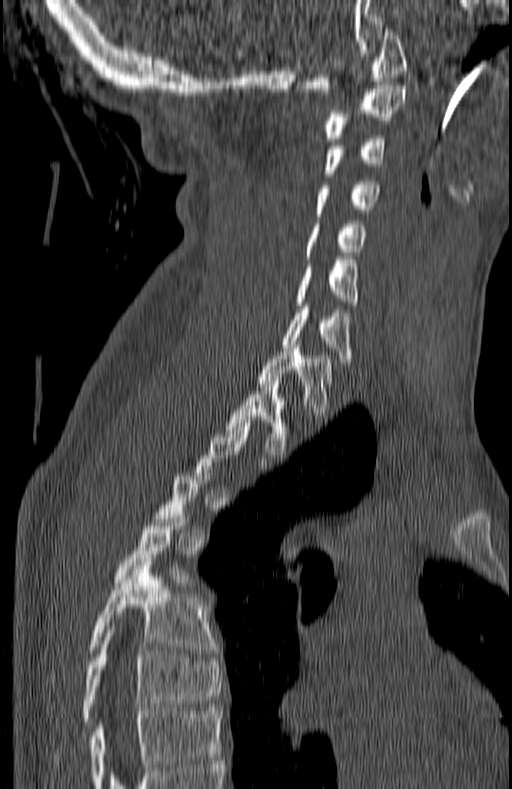 Computed tomography of the spine. 180 mm across the image. sagittal view

Boxes below are [x1, y1, x2, y2] in pixels.
Each vertebra is boxed only on the slices from the first to the last where its cross-section reaches a third of its largest, so a slice outside that range leaves it unboxed.
{"vertebrae":{"C1":[304,28,407,95],"C2":[322,85,407,141],"C3":[322,135,387,177],"C4":[314,181,380,212],"C5":[302,224,367,255],"C6":[294,260,358,308],"C7":[283,306,353,365],"T1":[257,348,333,415],"T2":[226,380,293,458],"T5":[115,512,190,582],"T6":[49,562,216,692],"T7":[49,629,222,763]}}